Spine CT — sagittal plane, index 285 — scan covers 14 annotated vertebrae
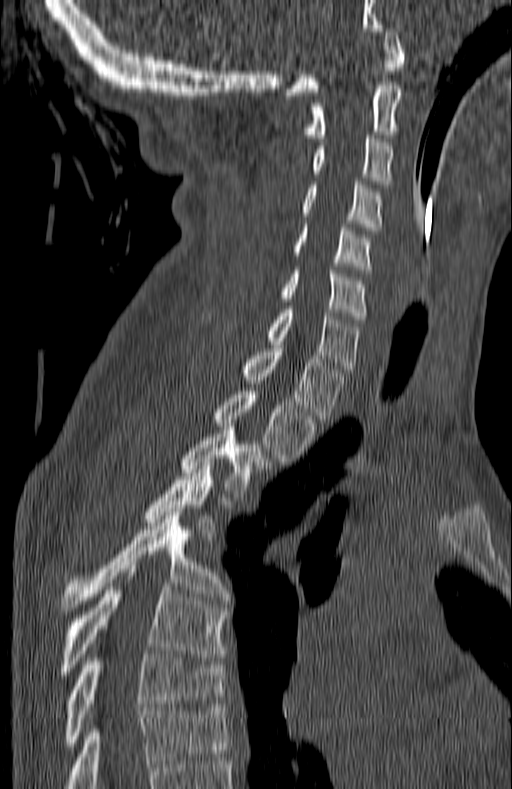 Each box is [x1, y1, x2, y2] in pixels: top-left corner, then bottom-right corner.
This scan's labels start at C1 at the top and end at T7 at the bottom.
{"vertebrae":{"C1":[286,28,404,95],"C2":[308,85,401,141],"C3":[313,135,392,184],"C4":[302,181,381,230],"C5":[294,224,370,269],"C6":[283,270,367,319],"C7":[268,309,358,369],"T1":[243,348,344,419],"T2":[214,391,316,465],"T3":[183,430,267,497],"T4":[146,462,213,536],"T5":[61,512,227,611],"T6":[58,569,225,682],"T7":[61,651,225,753]}}